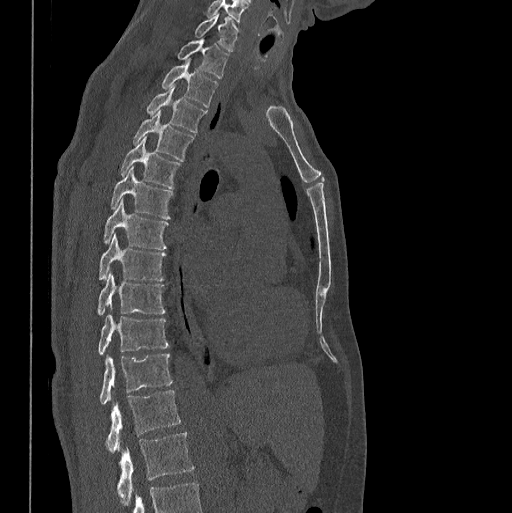 Computed tomography of the spine. sagittal view. the image is 398 mm wide. Bone window (WL 400, WW 1800)
Each vertebra maps to its box as [x1, y1, x2, y2], the pixel coordinates of its top-left and bottom-right corners.
This scan's labels start at C7 at the top and end at L1 at the bottom.
{"vertebrae":{"C7":[195,13,237,51],"T1":[177,38,228,79],"T2":[162,60,218,107],"T3":[147,86,206,132],"T4":[132,110,193,161],"T5":[121,135,179,188],"T6":[110,167,171,219],"T7":[104,199,167,249],"T8":[99,234,165,280],"T9":[98,272,165,315],"T10":[98,314,167,354],"T11":[100,353,171,404],"T12":[105,390,180,453],"L1":[117,433,193,503]}}